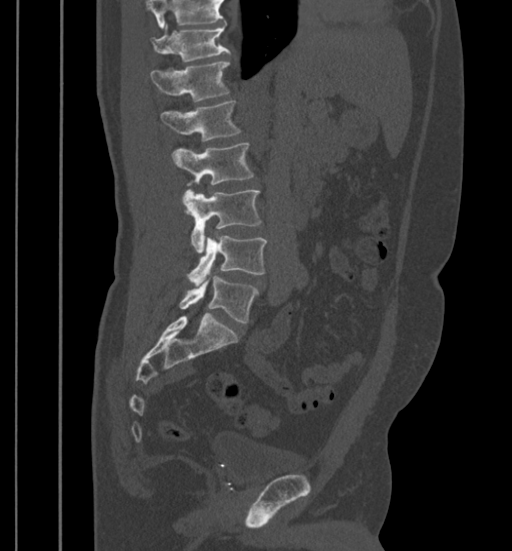

Computed tomography of the spine — sagittal reformat
Where the top of the scan cuts through a vertebra, that vertebra gets no label or box.
<vertebrae><v name="T11" x1="151" y1="25" x2="230" y2="62"/><v name="T12" x1="150" y1="62" x2="229" y2="102"/><v name="L1" x1="160" y1="101" x2="240" y2="141"/><v name="L2" x1="172" y1="144" x2="253" y2="185"/><v name="L3" x1="182" y1="190" x2="261" y2="253"/><v name="L4" x1="187" y1="236" x2="267" y2="286"/><v name="L5" x1="180" y1="275" x2="258" y2="323"/></vertebrae>